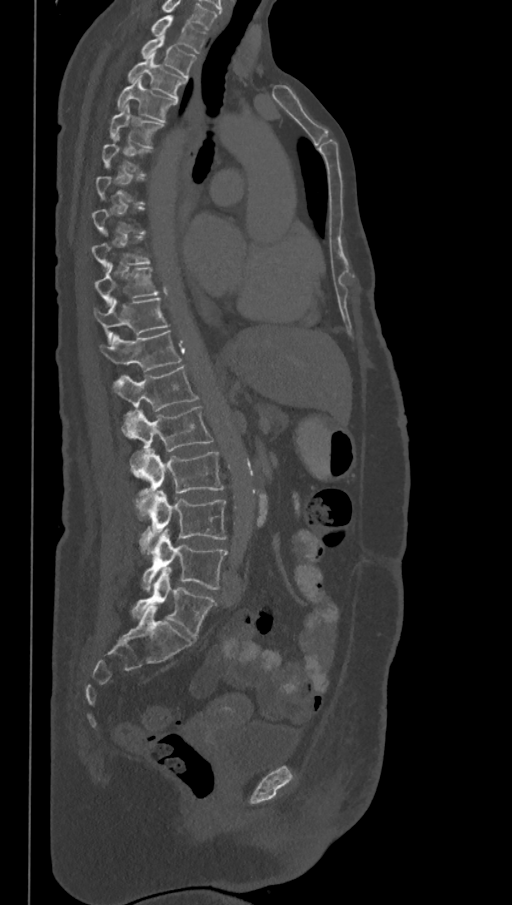
CT, spine — sagittal view — Bone window (WL 400, WW 1800) — 512x905 px — the image spans 368 mm across
Boxes are (x1, y1, x2, y2) in pixels.
A vertebra gets a box only on the slices from the first to the last where its cross-section is at least a third of its largest; on a slice outside that range it gets none.
In this scan, the topmost labeled vertebra is T1 and the lowest is L6.
These labels give the spine a sixth lumbar vertebra, L6, below L5.
Vertebra bounding boxes:
- T1: (150, 15, 206, 53)
- T2: (140, 38, 196, 78)
- T3: (126, 54, 187, 98)
- T4: (117, 78, 177, 123)
- T5: (110, 105, 164, 148)
- T9: (92, 230, 150, 269)
- T10: (94, 263, 159, 305)
- T11: (93, 298, 169, 342)
- T12: (100, 331, 181, 372)
- L1: (112, 366, 199, 439)
- L2: (130, 406, 213, 451)
- L3: (130, 448, 224, 520)
- L4: (139, 491, 227, 556)
- L5: (142, 530, 227, 591)
- L6: (132, 567, 217, 639)